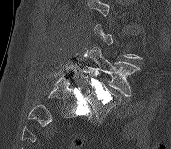 CT, spine; sagittal view; 171 mm wide

Boxes are given in columns x1, y1, x2, y2, the pixel coordinates of their top-left and bottom-right corners.
Not every vertebra on this slice has a box: a vertebra is boxed only from the first to the last slice where its cross-section is at least a third of its largest, and this slice is outside that range for at least one of them.
| vertebra | x1 | y1 | x2 | y2 |
|---|---|---|---|---|
| L5 | 85 | 80 | 120 | 120 |
| L4 | 80 | 46 | 141 | 96 |